Computed tomography of the spine · sagittal view · 157 mm across the image · 512x929 px
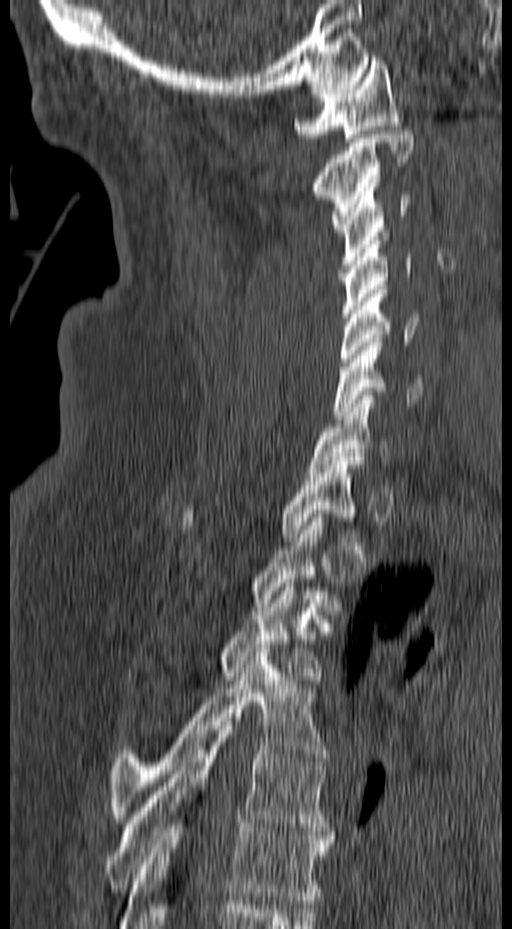 Each vertebra maps to its box as [x1, y1, x2, y2], the pixel coordinates of its top-left and bottom-right corners.
Each vertebra is boxed only on the slices from the first to the last where its cross-section reaches a third of its largest, so a slice outside that range leaves it unboxed.
{"vertebrae":{"C1":[294,57,404,142],"C2":[314,126,414,231],"C3":[332,183,411,268],"C4":[342,232,412,317],"C5":[339,285,420,370],"C6":[332,338,422,419],"C7":[308,391,393,476],"T1":[180,457,364,541],"T3":[216,579,325,680],"T4":[110,648,326,822],"T5":[105,717,336,900],"T6":[121,815,330,928]}}